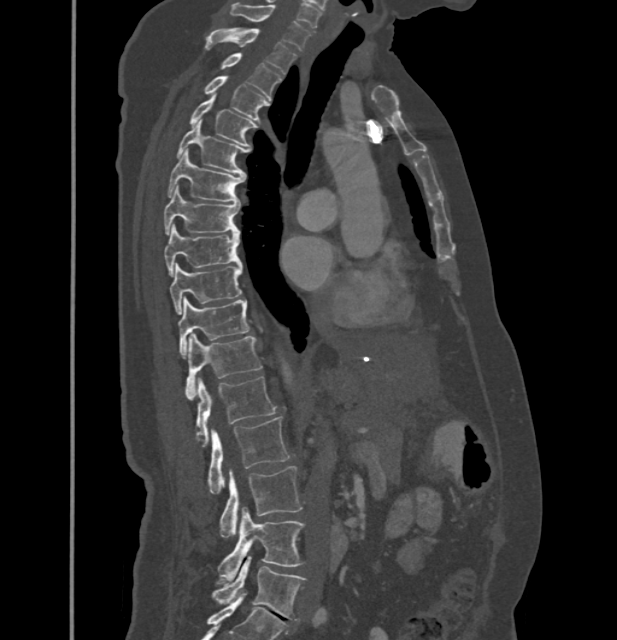 CT, spine; sagittal reformat

Each box given as x1,y1,x2,y2. In these labels the thoracic vertebrae end at T11, so L1 follows T11. Vertebrae labeled: C7 at x1=230, y1=3, x2=310, y2=51, T1 at x1=206, y1=29, x2=296, y2=74, T2 at x1=222, y1=53, x2=282, y2=96, T3 at x1=204, y1=76, x2=268, y2=121, T4 at x1=190, y1=95, x2=257, y2=146, T5 at x1=177, y1=120, x2=246, y2=175, T6 at x1=168, y1=150, x2=244, y2=202, T7 at x1=164, y1=186, x2=239, y2=234, T8 at x1=164, y1=225, x2=240, y2=276, T9 at x1=170, y1=263, x2=241, y2=314, T10 at x1=177, y1=297, x2=249, y2=356, T11 at x1=186, y1=333, x2=262, y2=399, L1 at x1=195, y1=376, x2=276, y2=446, L2 at x1=209, y1=416, x2=288, y2=494, L3 at x1=219, y1=466, x2=302, y2=538, L4 at x1=218, y1=507, x2=303, y2=582, L5 at x1=212, y1=556, x2=305, y2=619.